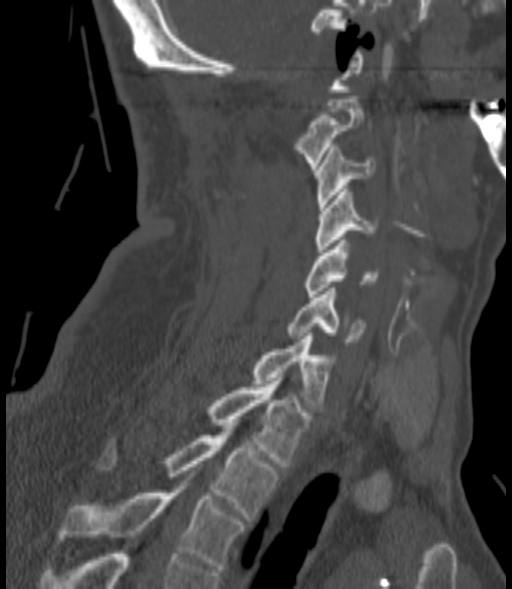
Spine computed tomography — sagittal reformat — 512x589 px

Coordinates as <box>x1,y1,x2,y2</box>.
T3: <box>60,480,243,569</box>
T2: <box>98,429,276,517</box>
T1: <box>208,378,310,466</box>
C7: <box>252,333,330,409</box>
C6: <box>288,288,367,345</box>
C5: <box>305,240,379,297</box>
C4: <box>316,189,378,252</box>
C3: <box>316,147,374,210</box>
C2: <box>295,96,363,169</box>